Computed tomography of the spine; sagittal view
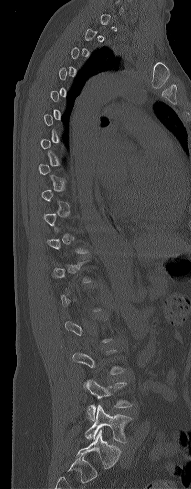
Boxes: x1:y1:x2:y2 in pixels.
A vertebra is boxed only from the first to the last slice where its cross-section is at least a third of its largest; slices outside that range leave it without a box.
Vertebra bounding boxes:
- L4: 83:380:133:421
- L5: 85:403:132:443